Computed tomography of the spine. sagittal plane, index 209. 368 mm image width. 613x1182 px
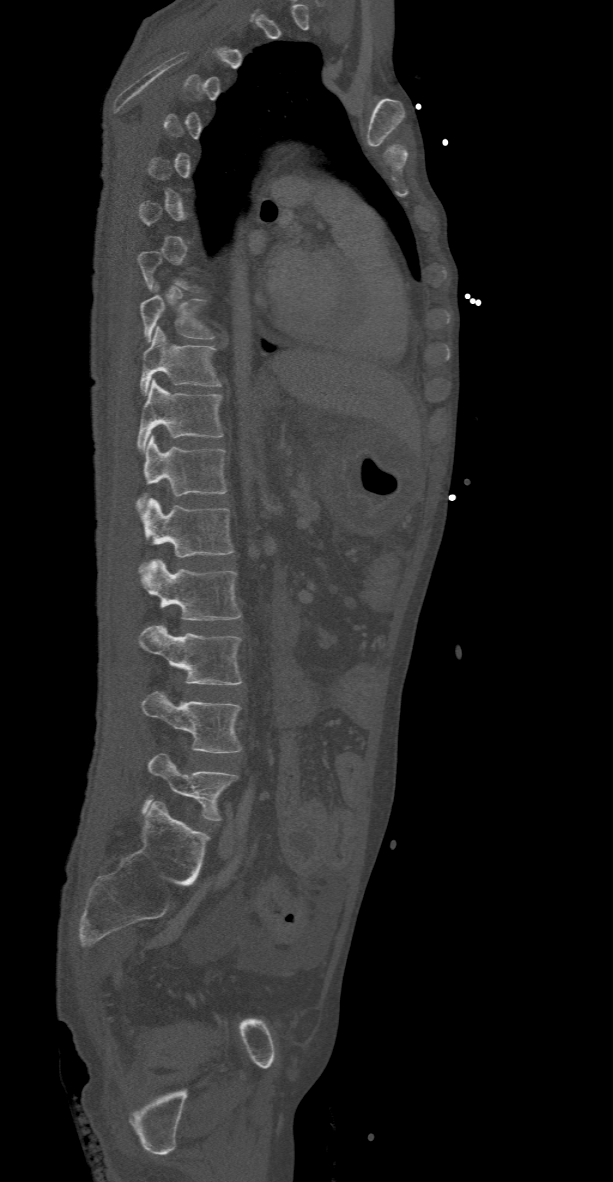 Bounding boxes as [x1, y1, x2, y2] in pixel coordinates.
A vertebra is boxed only from the first to the last slice where its cross-section is at least a third of its largest; slices outside that range leave it without a box.
L5: [143, 752, 237, 820]
L4: [141, 691, 242, 753]
L3: [138, 624, 242, 685]
L2: [140, 559, 241, 620]
L1: [140, 497, 234, 568]
T12: [135, 436, 227, 510]
T11: [137, 379, 222, 451]
T10: [140, 326, 221, 395]
T9: [140, 294, 213, 341]